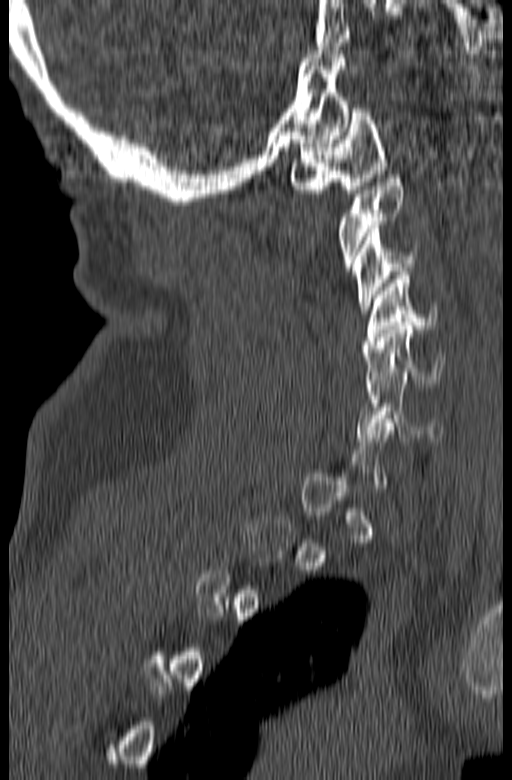 Computed tomography of the spine — sagittal reformat — 512x780 px. Each row gives a vertebra's box as x1, y1, x2, y2 in pixels: top-left corner, then bottom-right corner.
Not every vertebra on this slice has a box: a vertebra is boxed only from the first to the last slice where its cross-section is at least a third of its largest, and this slice is outside that range for at least one of them.
| vertebra | x1 | y1 | x2 | y2 |
|---|---|---|---|---|
| C6 | 356 | 376 | 442 | 441 |
| C5 | 363 | 322 | 446 | 391 |
| C4 | 363 | 272 | 438 | 348 |
| C3 | 353 | 225 | 419 | 313 |
| C2 | 336 | 175 | 403 | 271 |
| C1 | 290 | 105 | 388 | 193 |